Spine CT · sagittal view · bone window · 768x1218 px · scan covers 6 annotated vertebrae
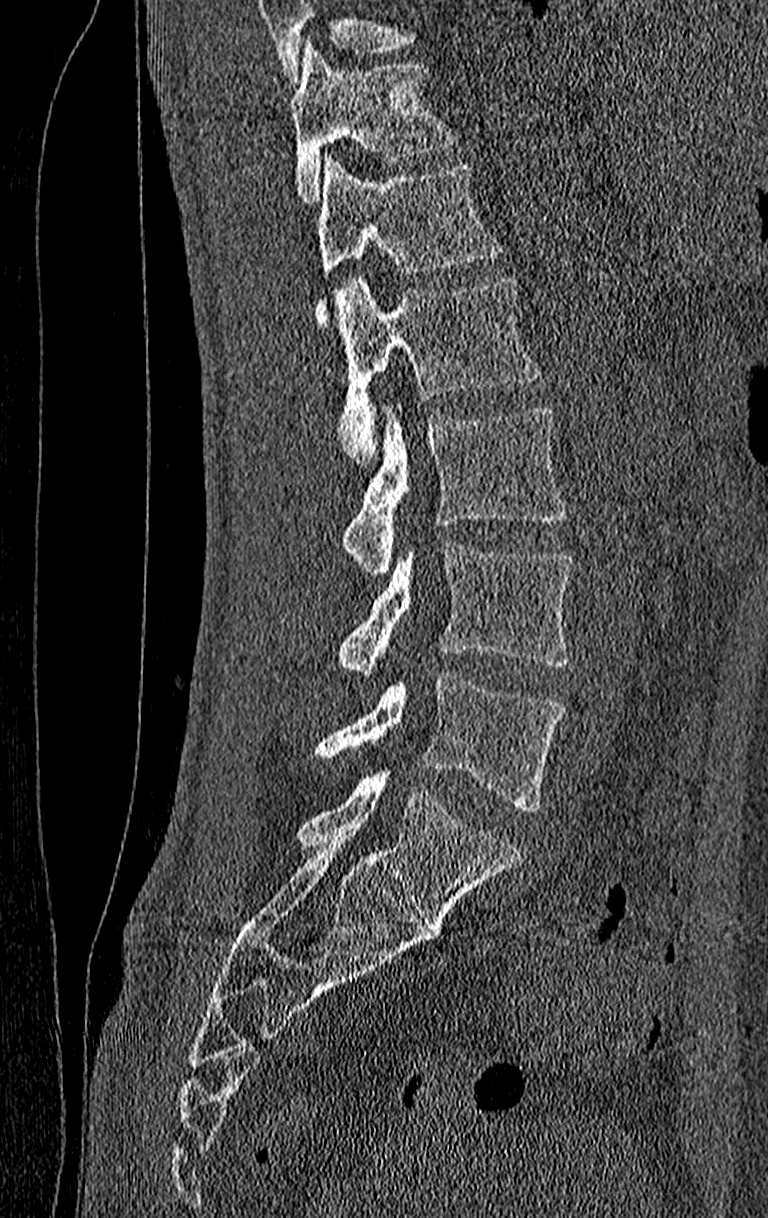 Boxes below are [x1, y1, x2, y2] in pixels.
Where the top of the scan cuts through a vertebra, that vertebra gets no label or box.
In this scan, the topmost labeled vertebra is T11 and the lowest is L4.
{"vertebrae":{"T11":[291,41,462,205],"T12":[317,155,506,330],"L1":[337,275,543,465],"L2":[342,406,565,573],"L3":[335,541,575,672],"L4":[306,673,565,812]}}